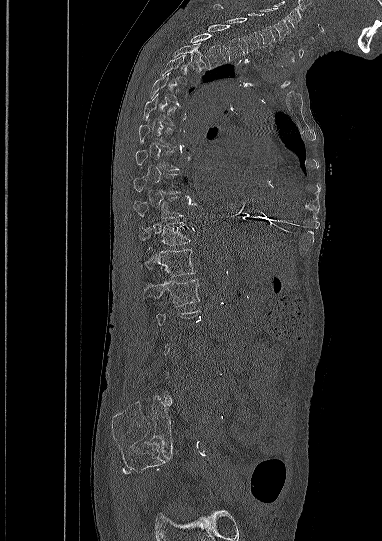
CT, spine. sagittal view. image 382 mm wide. 382x541 px
Boxes are (x1, y1, x2, y2) in pixels. Each vertebra is boxed only on the slices from the first to the last where its cross-section reaches a third of its largest, so a slice outside that range leaves it unboxed. The labeled vertebrae in this slice are: L1 at (144, 279, 199, 306), T12 at (142, 246, 195, 276), T11 at (139, 222, 190, 245), T10 at (133, 197, 182, 219), T9 at (133, 174, 178, 193), T8 at (135, 149, 178, 170), T7 at (138, 120, 177, 147), T6 at (143, 94, 178, 125), T5 at (149, 72, 185, 105), T4 at (160, 55, 187, 85), T3 at (171, 44, 208, 72), T2 at (191, 33, 226, 67), T1 at (208, 24, 244, 61), C7 at (214, 4, 258, 53), C6 at (248, 13, 275, 47), C5 at (258, 8, 290, 39).